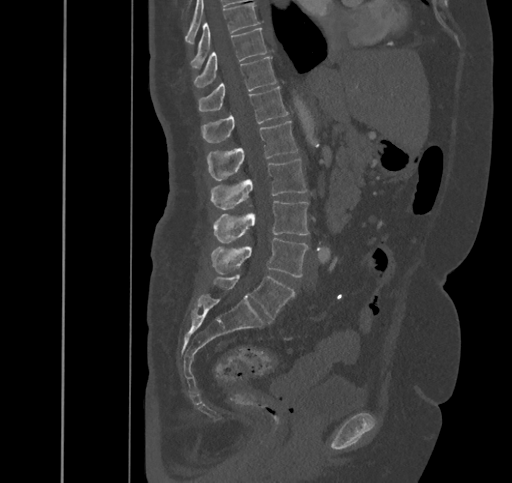

CT spine. sagittal view
Each box given as x1,y1,x2,y2. 9 vertebrae labeled — T9 at x1=191, y1=3, x2=260, y2=67; T10 at x1=194, y1=27, x2=268, y2=87; T11 at x1=199, y1=57, x2=276, y2=111; T12 at x1=201, y1=87, x2=288, y2=142; L1 at x1=207, y1=121, x2=298, y2=180; L2 at x1=210, y1=158, x2=307, y2=209; L3 at x1=214, y1=201, x2=308, y2=242; L4 at x1=210, y1=237, x2=308, y2=277; L5 at x1=213, y1=274, x2=295, y2=318.